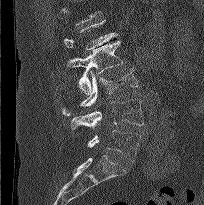 CT, spine · sagittal reformat · image 204 mm wide · bone window · 204x205 px
No box is given to a vertebra that the top edge of the scan cuts off.
<vertebrae><v name="L1" x1="63" y1="20" x2="118" y2="50"/><v name="L2" x1="67" y1="39" x2="123" y2="94"/><v name="L3" x1="62" y1="68" x2="138" y2="115"/><v name="L4" x1="70" y1="98" x2="144" y2="130"/><v name="L5" x1="87" y1="130" x2="141" y2="161"/></vertebrae>